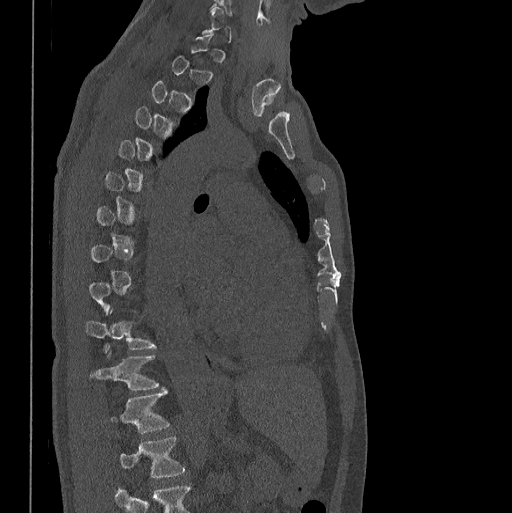

Spine computed tomography · sagittal view · 512x513 px · 398 mm wide
Each box is [x1, y1, x2, y2] in pixels: top-left corner, then bottom-right corner.
Each vertebra is boxed only on the slices from the first to the last where its cross-section reaches a third of its largest, so a slice outside that range leaves it unboxed.
Labels in this scan begin with C7 at the top and end with L1 at the bottom.
{"vertebrae":{"T10":[86,309,156,351],"T11":[90,353,158,389],"T12":[110,389,169,433],"L1":[119,436,184,477]}}